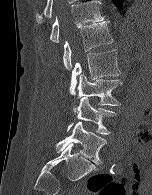 CT · sagittal view · bone-window reconstruction · 152x195 px
Boxes below are [x1, y1, x2, y2] in pixels.
{"vertebrae":{"T12":[49,0,104,42],"L1":[63,21,113,70],"L2":[69,49,120,95],"L3":[73,74,122,114],"L4":[67,97,116,134],"L5":[56,121,106,164]}}